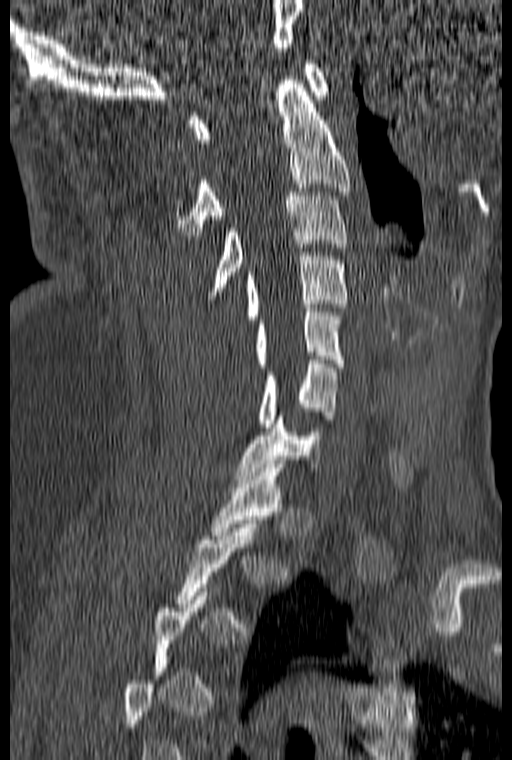

Computed tomography of the spine — sagittal view — bone window — 512x760 px. Coordinates as <box>x1,y1,x2,y2</box>. Not every vertebra on this slice has a box: a vertebra is boxed only from the first to the last slice where its cross-section is at least a third of its largest, and this slice is outside that range for at least one of them. Vertebrae labeled: C1 at <box>189,60,329,143</box>, C2 at <box>176,80,352,235</box>, C3 at <box>208,192,349,299</box>, C4 at <box>244,252,349,319</box>, C5 at <box>254,308,343,371</box>, C6 at <box>257,356,336,427</box>, C7 at <box>235,416,320,479</box>, T1 at <box>209,464,285,539</box>.